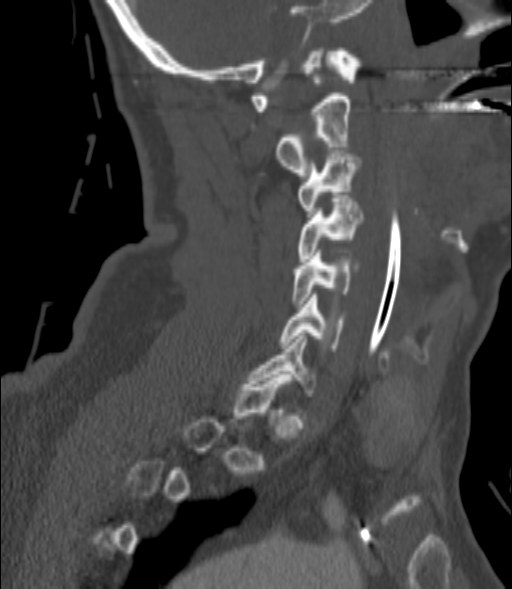 CT · sagittal view
Not every vertebra on this slice has a box: a vertebra is boxed only from the first to the last slice where its cross-section is at least a third of its largest, and this slice is outside that range for at least one of them.
<vertebrae><v name="C2" x1="275" y1="96" x2="351" y2="175"/><v name="C3" x1="298" y1="150" x2="362" y2="217"/><v name="C4" x1="298" y1="198" x2="363" y2="261"/><v name="C5" x1="293" y1="253" x2="359" y2="306"/><v name="C6" x1="280" y1="294" x2="345" y2="351"/><v name="C7" x1="249" y1="333" x2="317" y2="396"/></vertebrae>